Spine computed tomography · Sagittal slice 221/512 · 512x760 px · scan covers 10 annotated vertebrae
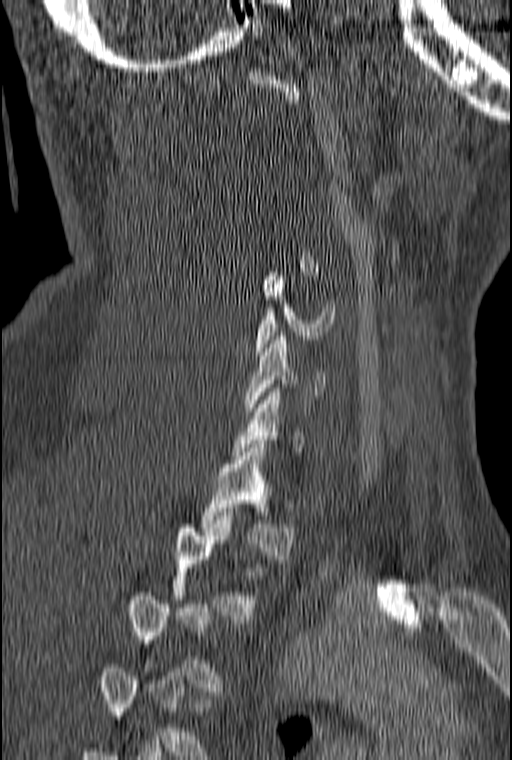 Not every vertebra on this slice has a box: a vertebra is boxed only from the first to the last slice where its cross-section is at least a third of its largest, and this slice is outside that range for at least one of them.
<vertebrae><v name="C5" x1="255" y1="276" x2="335" y2="355"/><v name="C6" x1="245" y1="332" x2="327" y2="411"/><v name="T1" x1="200" y1="444" x2="295" y2="559"/><v name="T2" x1="171" y1="520" x2="266" y2="623"/></vertebrae>